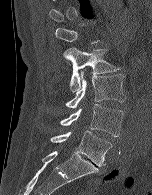 CT spine. image width 152 mm. sagittal view
Each vertebra maps to its box as [x1, y1, x2, y2], the pixel coordinates of its top-left and bottom-right corners.
Not every vertebra on this slice has a box: a vertebra is boxed only from the first to the last slice where its cross-section is at least a third of its largest, and this slice is outside that range for at least one of them.
{"vertebrae":{"L5":[50,130,112,166],"L4":[60,104,123,137],"L3":[65,71,126,108],"L2":[63,47,120,91]}}